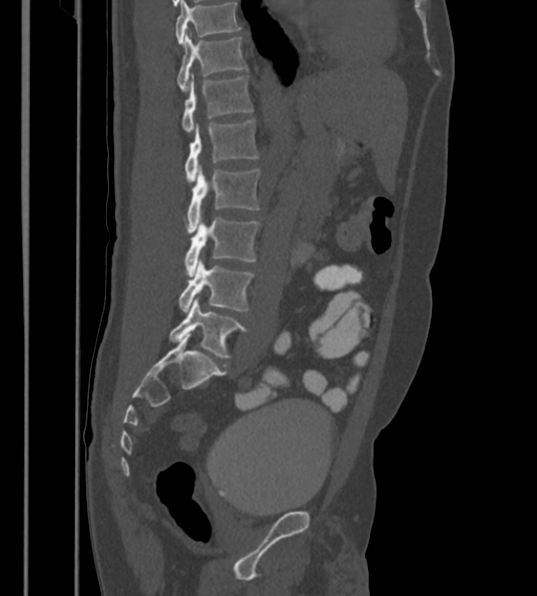
Computed tomography of the spine. image width 430 mm. sagittal view. Each box given as x1,y1,x2,y2.
The highest labeled vertebra in this scan is T12; the lowest is L6.
The labels name a sixth lumbar vertebra for this spine: L6, after L5.
| vertebra | x1 | y1 | x2 | y2 |
|---|---|---|---|---|
| T12 | 177 | 34 | 248 | 90 |
| L1 | 181 | 74 | 253 | 133 |
| L2 | 185 | 120 | 259 | 183 |
| L3 | 186 | 165 | 259 | 233 |
| L4 | 185 | 217 | 260 | 276 |
| L5 | 178 | 260 | 254 | 311 |
| L6 | 169 | 299 | 248 | 358 |